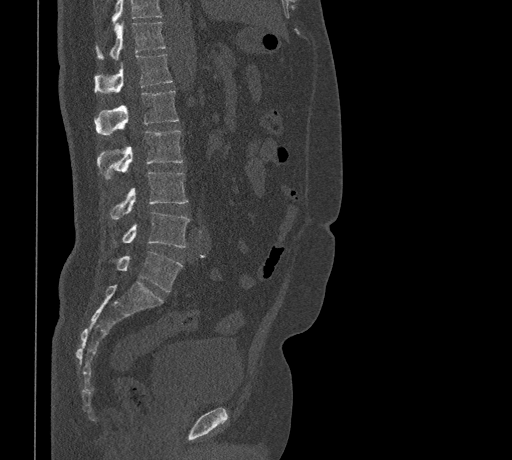
CT, spine. sagittal view. bone-window reconstruction
Each box given as x1,y1,x2,y2.
No box is given to a vertebra that the top edge of the scan cuts off.
| vertebra | x1 | y1 | x2 | y2 |
|---|---|---|---|---|
| L5 | 109 | 251 | 182 | 291 |
| L4 | 113 | 211 | 189 | 247 |
| L3 | 109 | 171 | 188 | 219 |
| L2 | 96 | 130 | 183 | 179 |
| L1 | 94 | 90 | 179 | 135 |
| T12 | 94 | 55 | 172 | 92 |
| T11 | 96 | 21 | 165 | 59 |